CT spine. sagittal view. 391 mm across the image. 512x774 px
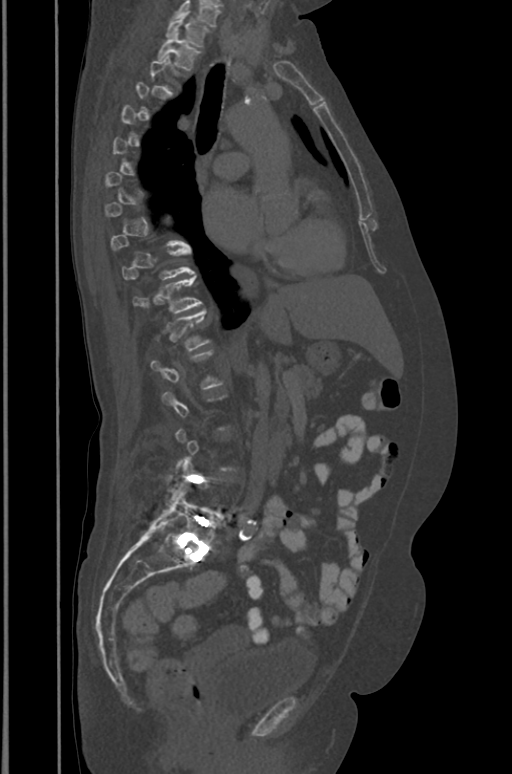 Boxes below are [x1, y1, x2, y2] in pixels.
Each vertebra is boxed only on the slices from the first to the last where its cross-section reaches a third of its largest, so a slice outside that range leaves it unboxed.
Labels in this scan begin with T1 at the top and end with L5 at the bottom.
{"vertebrae":{"L5":[152,489,220,547],"T12":[156,310,210,349],"T11":[134,276,202,312],"T10":[122,247,194,279],"T2":[157,34,201,70],"T1":[165,15,209,47]}}